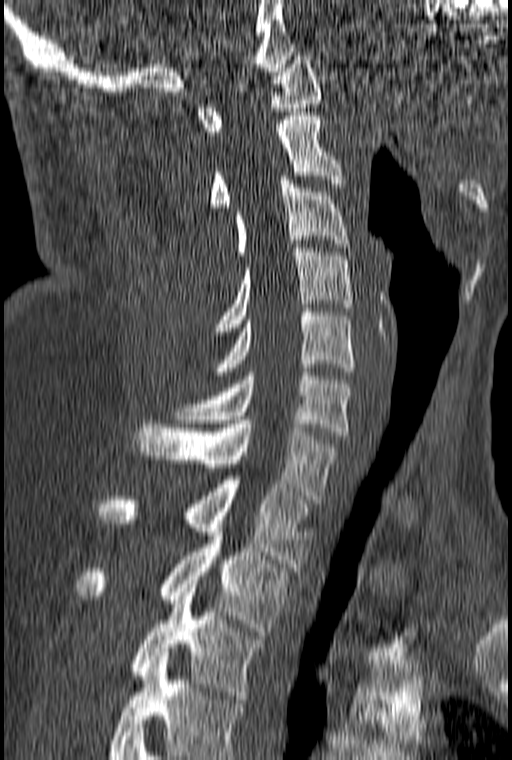 CT spine. sagittal view. 160 mm wide. 512x760 px. Coordinates as <box>x1,y1,x2,y2</box>.
The highest labeled vertebra in this scan is C1; the lowest is T3.
T3: <box>129,584,266,699</box>
T2: <box>78,528,291,635</box>
T1: <box>97,480,312,571</box>
C7: <box>136,420,339,503</box>
C6: <box>173,372,352,435</box>
C5: <box>215,308,354,371</box>
C4: <box>216,244,352,331</box>
C3: <box>235,176,348,255</box>
C2: <box>210,112,345,207</box>
C1: <box>197,56,322,135</box>